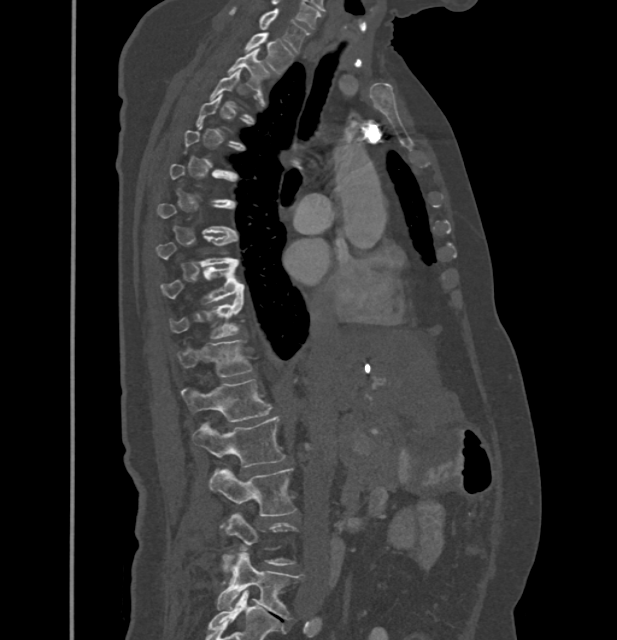

Spine CT. sagittal view
Boxes are (x1, y1, x2, y2) in pixels.
A vertebra gets a box only on the slices from the first to the last where its cross-section is at least a third of its largest; on a slice outside that range it gets none.
In these labels the thoracic vertebrae end at T11, so L1 follows T11.
Vertebra bounding boxes:
- L5: (217, 550, 300, 619)
- L4: (222, 513, 294, 572)
- L3: (209, 467, 296, 515)
- L2: (193, 416, 285, 466)
- L1: (181, 379, 271, 422)
- T11: (178, 340, 253, 376)
- T10: (169, 296, 244, 339)
- T9: (162, 262, 244, 302)
- T8: (155, 233, 239, 266)
- T2: (229, 49, 270, 92)
- T1: (245, 33, 293, 72)
- C7: (230, 7, 309, 52)